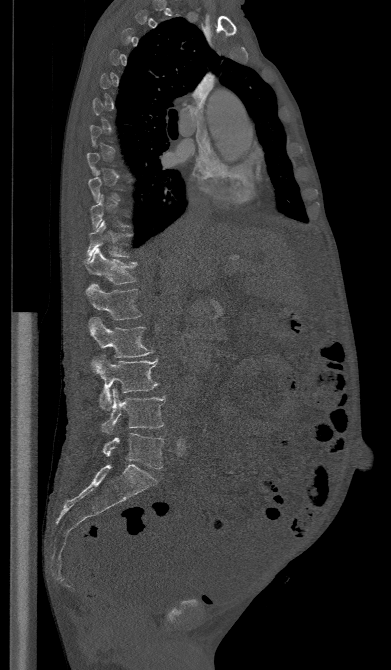 CT, spine — sagittal reformat — bone-window reconstruction
Columns x1, y1, x2, y2 give each box's top-left and bottom-right pixels.
Not every vertebra on this slice has a box: a vertebra is boxed only from the first to the last slice where its cross-section is at least a third of its largest, and this slice is outside that range for at least one of them.
| vertebra | x1 | y1 | x2 | y2 |
|---|---|---|---|---|
| L5 | 103 | 433 | 164 | 468 |
| L4 | 102 | 389 | 165 | 433 |
| L3 | 91 | 356 | 158 | 410 |
| L2 | 88 | 318 | 152 | 357 |
| L1 | 85 | 284 | 142 | 320 |
| T12 | 84 | 248 | 136 | 284 |
| T11 | 84 | 221 | 132 | 262 |